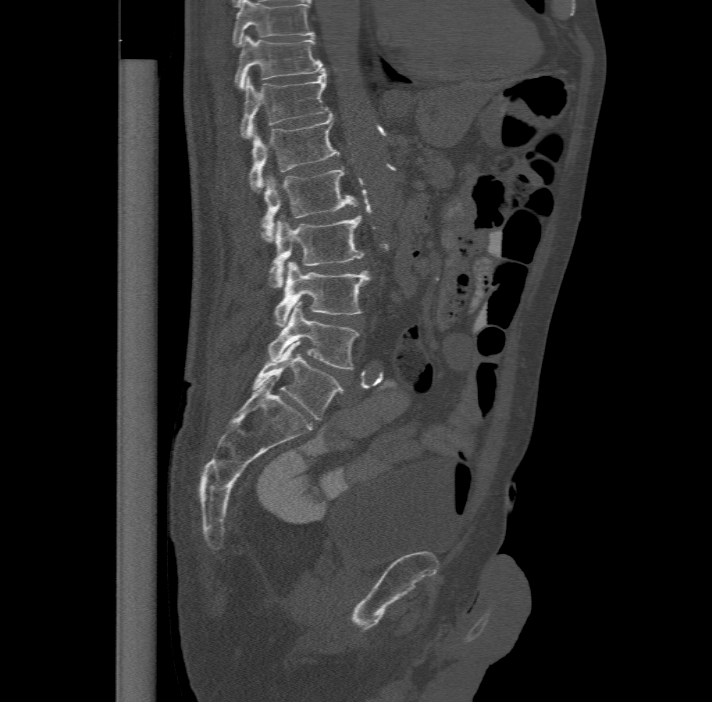
Spine CT · sagittal view
Boxes: x1:y1:x2:y2 in pixels.
The highest labeled vertebra in this scan is T11; the lowest is L6.
The labels name a sixth lumbar vertebra for this spine: L6, after L5.
T11: 234:34:323:88
T12: 241:69:330:136
L1: 249:113:340:190
L2: 261:165:358:241
L3: 268:215:363:287
L4: 274:261:370:326
L5: 267:301:359:368
L6: 252:341:342:419